Computed tomography of the spine; image width 140 mm; sagittal view; scan covers 10 annotated vertebrae
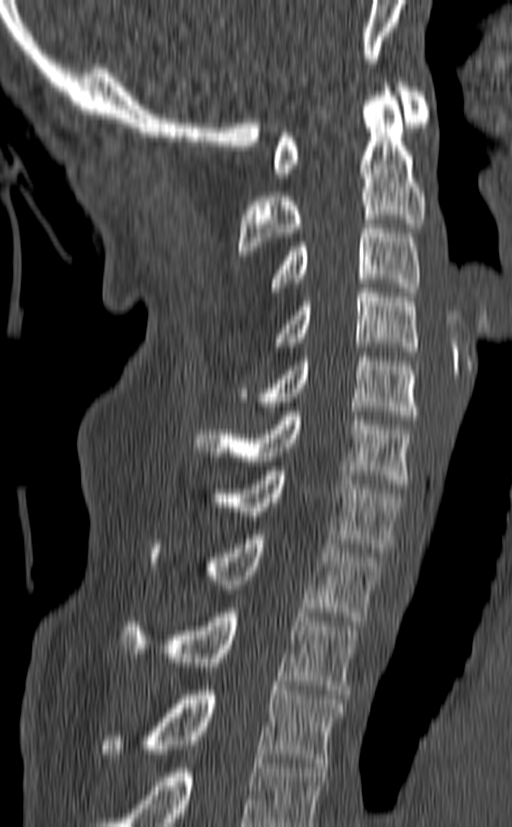

Boxes are (x1, y1, x2, y2) in pixels.
In this scan, the topmost labeled vertebra is C1 and the lowest is T3.
C1: (273, 78, 428, 177)
C2: (238, 78, 425, 255)
C3: (271, 219, 420, 296)
C4: (276, 288, 417, 356)
C5: (238, 352, 417, 420)
C6: (195, 411, 414, 488)
C7: (217, 466, 403, 552)
T1: (150, 530, 381, 621)
T2: (119, 608, 357, 694)
T3: (101, 686, 344, 767)